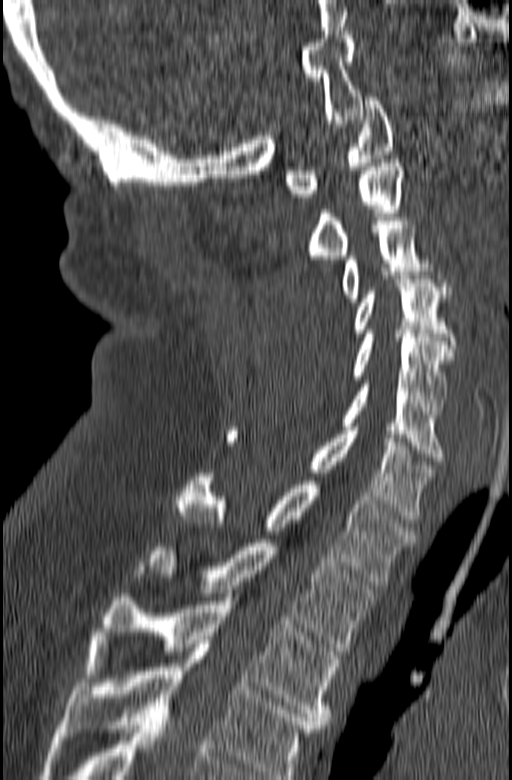 CT, spine; sagittal view. Box edges are left/top/right/bottom in pixels.
Labels in this scan begin with C1 at the top and end with T3 at the bottom.
Vertebra bounding boxes:
- C1: left=283, top=97, right=394, bottom=197
- C2: left=305, top=159, right=403, bottom=259
- C3: left=342, top=217, right=451, bottom=302
- C4: left=352, top=279, right=456, bottom=356
- C5: left=349, top=334, right=453, bottom=414
- C6: left=339, top=380, right=444, bottom=461
- C7: left=228, top=427, right=434, bottom=523
- T1: left=175, top=473, right=416, bottom=585
- T2: left=136, top=539, right=377, bottom=651
- T3: left=84, top=593, right=339, bottom=728